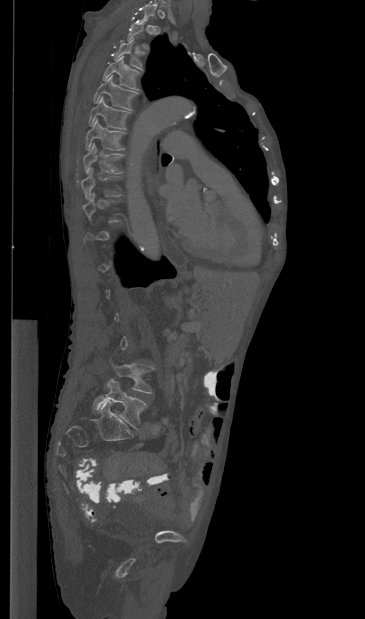
CT, spine — sagittal view
Coordinates as <box>x1,y1,x2,y2</box>.
Not every vertebra on this slice has a box: a vertebra is boxed only from the first to the last slice where its cross-section is at least a third of its largest, and this slice is outside that range for at least one of them.
Vertebra bounding boxes:
- T3: <box>114,39,144,70</box>
- T4: <box>103,55,140,90</box>
- T5: <box>93,75,137,110</box>
- T6: <box>89,96,130,129</box>
- T7: <box>85,118,125,150</box>
- T8: <box>83,143,123,173</box>
- T9: <box>81,167,120,199</box>
- L4: <box>114,364,153,393</box>
- L5: <box>92,378,146,429</box>